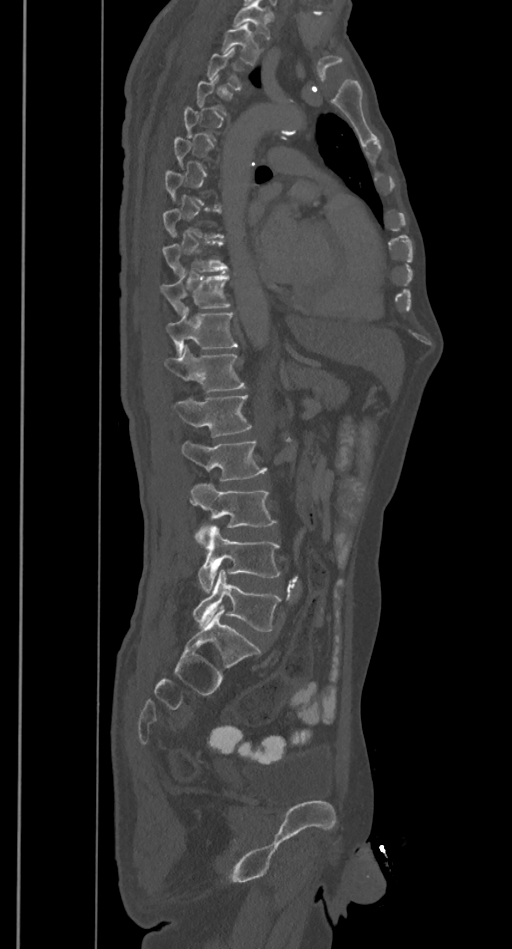
Computed tomography of the spine · sagittal view

Not every vertebra on this slice has a box: a vertebra is boxed only from the first to the last slice where its cross-section is at least a third of its largest, and this slice is outside that range for at least one of them.
Where the top of the scan cuts through a vertebra, that vertebra gets no label or box.
<vertebrae><v name="T2" x1="221" y1="24" x2="261" y2="65"/><v name="T3" x1="206" y1="49" x2="244" y2="89"/><v name="T9" x1="162" y1="241" x2="228" y2="275"/><v name="T10" x1="161" y1="273" x2="230" y2="315"/><v name="T11" x1="166" y1="306" x2="238" y2="354"/><v name="T12" x1="165" y1="346" x2="246" y2="393"/><v name="L1" x1="173" y1="395" x2="252" y2="436"/><v name="L2" x1="182" y1="439" x2="266" y2="481"/><v name="L3" x1="190" y1="482" x2="277" y2="544"/><v name="L4" x1="198" y1="525" x2="281" y2="591"/><v name="L5" x1="193" y1="570" x2="281" y2="632"/></vertebrae>